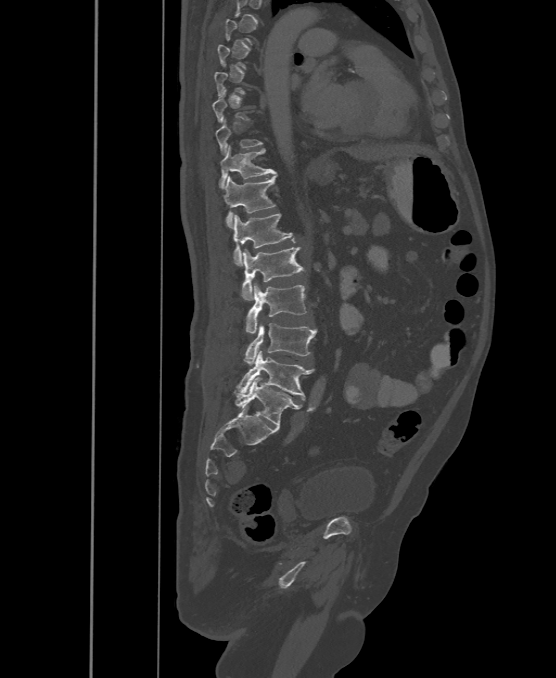

CT. sagittal view
Each vertebra is boxed only on the slices from the first to the last where its cross-section reaches a third of its largest, so a slice outside that range leaves it unboxed.
In these labels the spine has an L6, a sixth lumbar vertebra below L5.
<vertebrae><v name="T11" x1="219" y1="146" x2="276" y2="188"/><v name="T12" x1="224" y1="176" x2="276" y2="228"/><v name="L1" x1="233" y1="214" x2="295" y2="266"/><v name="L2" x1="241" y1="247" x2="304" y2="300"/><v name="L3" x1="245" y1="284" x2="306" y2="334"/><v name="L4" x1="243" y1="324" x2="317" y2="364"/><v name="L5" x1="237" y1="350" x2="314" y2="399"/><v name="L6" x1="235" y1="377" x2="300" y2="426"/></vertebrae>